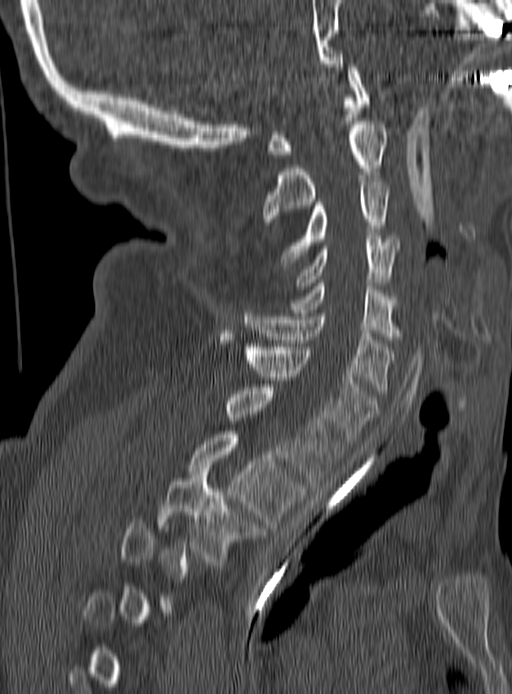 CT, spine; sagittal view; the image spans 190 mm across; 512x694 px

Boxes are (x1, y1, x2, y2) in pixels.
Each vertebra is boxed only on the slices from the first to the last where its cross-section reaches a third of its largest, so a slice outside that range leaves it unboxed.
C1: (265, 64, 369, 157)
C2: (262, 121, 388, 225)
C3: (280, 182, 389, 265)
C4: (297, 236, 399, 289)
C5: (292, 283, 399, 339)
C6: (243, 310, 393, 393)
C7: (219, 333, 377, 440)
T1: (225, 384, 342, 484)
T2: (189, 431, 304, 528)
T3: (157, 468, 261, 565)